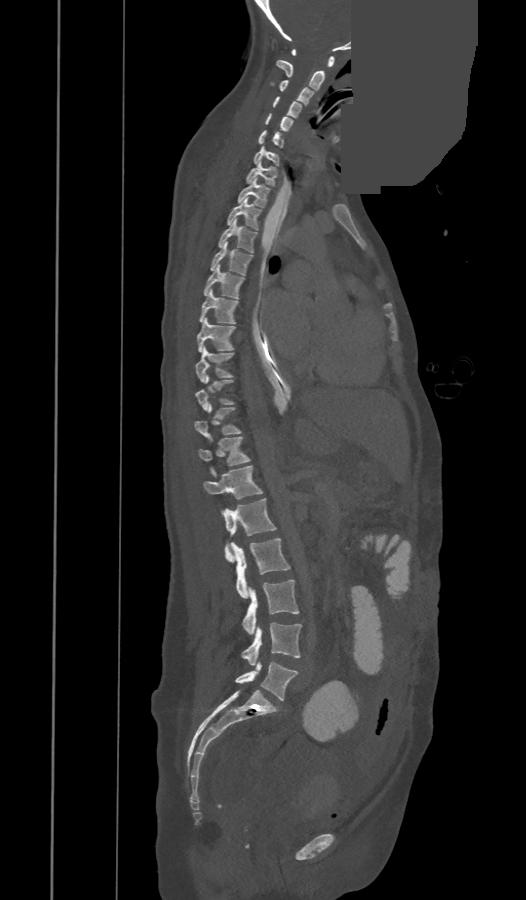

CT, spine — sagittal view — W/L 1800/400 HU — a portion of the image is blanked out (constant pixel value)
Boxes: x1:y1:x2:y2 in pixels. A vertebra gets a box only on the slices from the first to the last where its cross-section is at least a third of its largest; on a slice outside that range it gets none. In these labels the spine has a T13, a thirteenth thoracic vertebra, between T12 and L1. 24 vertebrae labeled — L5 at 235:660:297:700; L4 at 242:622:301:665; L3 at 242:579:298:634; L2 at 230:538:291:598; L1 at 225:498:275:561; T13 at 203:466:262:499; T12 at 200:437:249:465; T11 at 194:405:240:436; T9 at 194:347:232:381; T8 at 197:318:234:352; T7 at 200:289:238:324; T6 at 204:265:243:298; T5 at 211:242:253:275; T4 at 219:219:257:252; T3 at 228:198:260:229; T2 at 238:178:269:207; T1 at 246:161:277:186; C7 at 255:146:278:165; C6 at 259:130:283:147; C5 at 266:113:293:130; C4 at 273:97:301:117; C3 at 280:80:313:105; C2 at 276:60:324:90; C1 at 292:49:334:67.